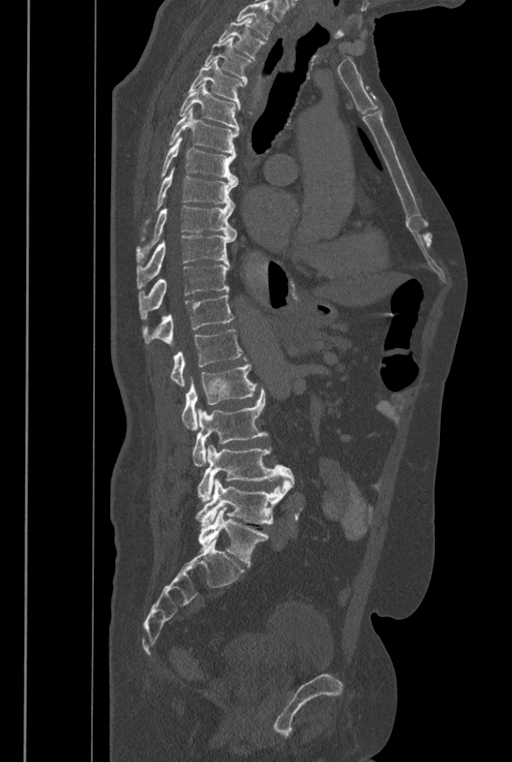 Computed tomography of the spine — sagittal view — Bone window (WL 400, WW 1800)

Box edges are left/top/right/bottom in pixels.
No box is given to a vertebra that the top edge of the scan cuts off.
These labels give the spine a sixth lumbar vertebra, L6, below L5.
Vertebra bounding boxes:
- T2: left=218, top=18, right=265, bottom=59
- T3: left=204, top=37, right=250, bottom=85
- T4: left=188, top=59, right=243, bottom=111
- T5: left=179, top=82, right=239, bottom=130
- T6: left=167, top=106, right=239, bottom=153
- T7: left=160, top=136, right=238, bottom=183
- T8: left=139, top=167, right=238, bottom=241
- T9: left=136, top=206, right=237, bottom=263
- T10: left=137, top=236, right=234, bottom=289
- T11: left=139, top=264, right=230, bottom=319
- T12: left=142, top=291, right=233, bottom=347
- L1: left=170, top=329, right=246, bottom=386
- L2: left=181, top=363, right=257, bottom=430
- L3: left=193, top=388, right=269, bottom=466
- L4: left=196, top=445, right=294, bottom=501
- L5: left=196, top=479, right=292, bottom=526
- L6: left=198, top=507, right=268, bottom=565